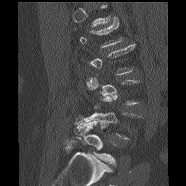 CT, spine. sagittal view

Each vertebra maps to its box as [x1, y1, x2, y2], the pixel coordinates of its top-left and bottom-right corners.
A vertebra gets a box only on the slices from the first to the last where its cross-section is at least a third of its largest; on a slice outside that range it gets none.
{"vertebrae":{"L4":[84,95,140,139],"L5":[75,115,116,166]}}